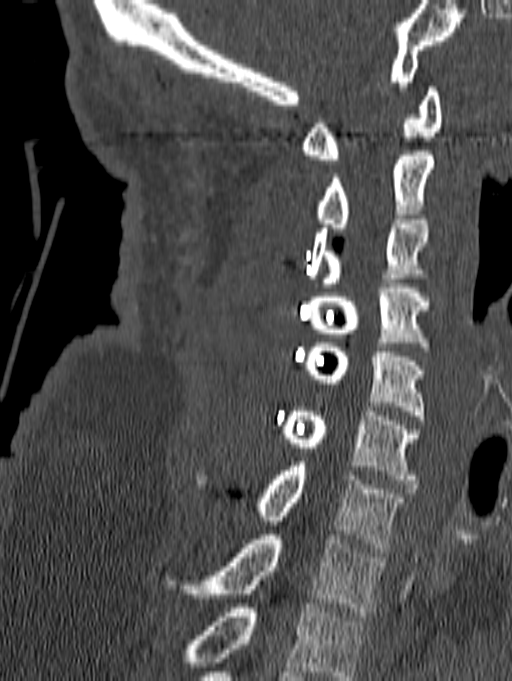

Spine computed tomography — sagittal reformat — Bone window (WL 400, WW 1800) — 512x681 px
In this scan, the topmost labeled vertebra is C1 and the lowest is T1.
<vertebrae><v name="T1" x1="163" y1="535" x2="383" y2="616"/><v name="C7" x1="257" y1="462" x2="406" y2="552"/><v name="C6" x1="279" y1="407" x2="420" y2="484"/><v name="C5" x1="305" y1="343" x2="425" y2="420"/><v name="C4" x1="309" y1="283" x2="429" y2="351"/><v name="C3" x1="309" y1="215" x2="428" y2="287"/><v name="C2" x1="316" y1="151" x2="434" y2="232"/><v name="C1" x1="301" y1="87" x2="441" y2="164"/></vertebrae>